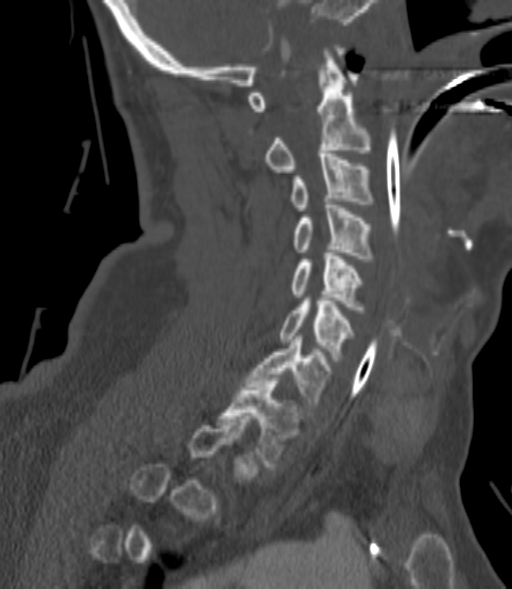

Spine CT — sagittal reformat
Boxes below are [x1, y1, x2, y2] in pixels.
Not every vertebra on this slice has a box: a vertebra is boxed only from the first to the last slice where its cross-section is at least a third of its largest, and this slice is outside that range for at least one of them.
{"vertebrae":{"C2":[264,48,371,172],"C3":[290,154,374,210],"C4":[293,202,374,261],"C5":[290,250,363,313],"C6":[280,298,353,361],"C7":[247,333,330,412],"T1":[218,378,299,466]}}